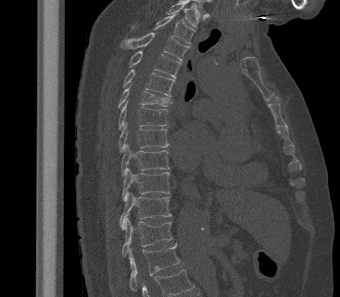

Computed tomography of the spine · the image is 340 mm wide · sagittal reformat · 340x297 px

Coordinates as <box>x1,y1,x2,y2</box>. In this scan, the topmost labeled vertebra is T2 and the lowest is L1. The labeled vertebrae in this slice are: T2 at <box>133,14,195,43</box>, T3 at <box>120,32,189,61</box>, T4 at <box>129,51,181,78</box>, T5 at <box>123,69,175,96</box>, T6 at <box>118,85,172,108</box>, T7 at <box>118,100,168,130</box>, T8 at <box>119,122,169,152</box>, T9 at <box>121,144,170,175</box>, T10 at <box>122,168,170,200</box>, T11 at <box>119,192,172,228</box>, T12 at <box>121,217,173,256</box>, L1 at <box>129,243,180,295</box>.